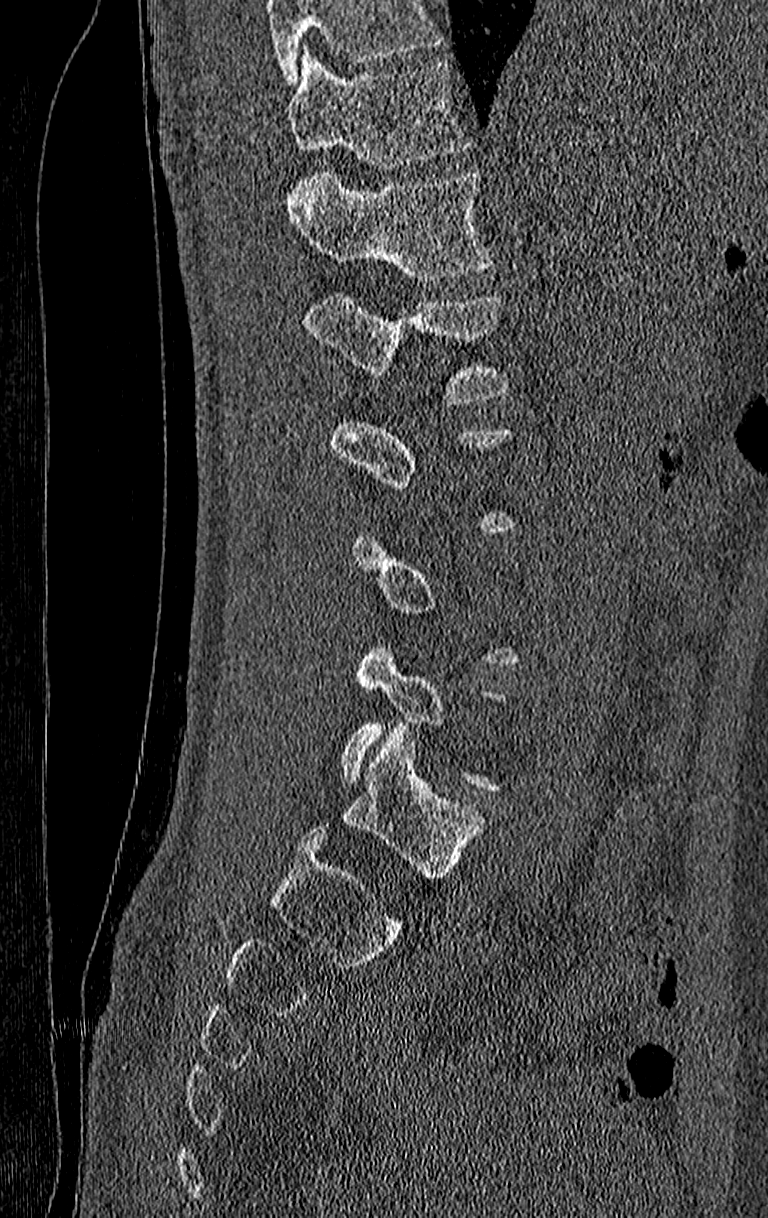 CT, spine; sagittal view; W/L 1800/400 HU; 768x1218 px. Boxes: x1 y1 x2 y2 (pixel coords, space-separated).
Not every vertebra on this slice has a box: a vertebra is boxed only from the first to the last slice where its cross-section is at least a third of its largest, and this slice is outside that range for at least one of them.
Where the top of the scan cuts through a vertebra, that vertebra gets no label or box.
L1: 306 290 513 405
T12: 288 173 495 282
T11: 288 48 469 169